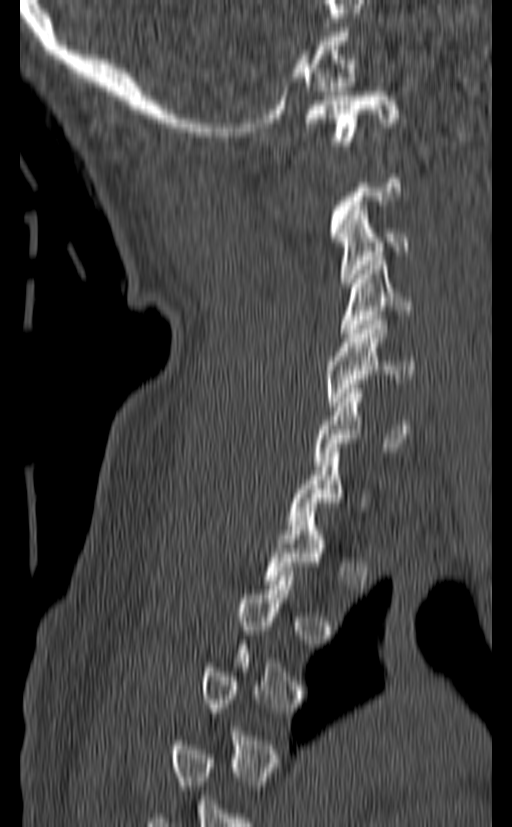

CT · sagittal view · 512x827 px · 140 mm image width

Boxes: x1 y1 x2 y2 (pixel coords, space-separated).
Each vertebra is boxed only on the slices from the first to the last where its cross-section reaches a third of its largest, so a slice outside that range leaves it unboxed.
Vertebra bounding boxes:
- C1: 305 91 399 145
- C3: 337 206 408 287
- C4: 341 261 412 337
- C5: 327 320 414 406
- C6: 314 384 416 465
- C7: 287 448 368 529